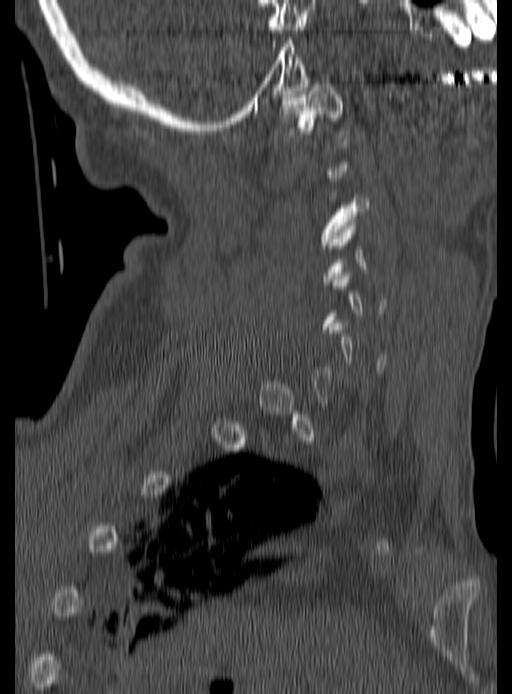
CT spine — sagittal view — image width 190 mm — 512x694 px
Each box is [x1, y1, x2, y2] in pixels: top-left corner, then bottom-right corner.
Each vertebra is boxed only on the slices from the first to the last where its cross-section reaches a third of its largest, so a slice outside that range leaves it unboxed.
{"vertebrae":{"C3":[319,195,369,245],"C1":[279,81,347,140]}}